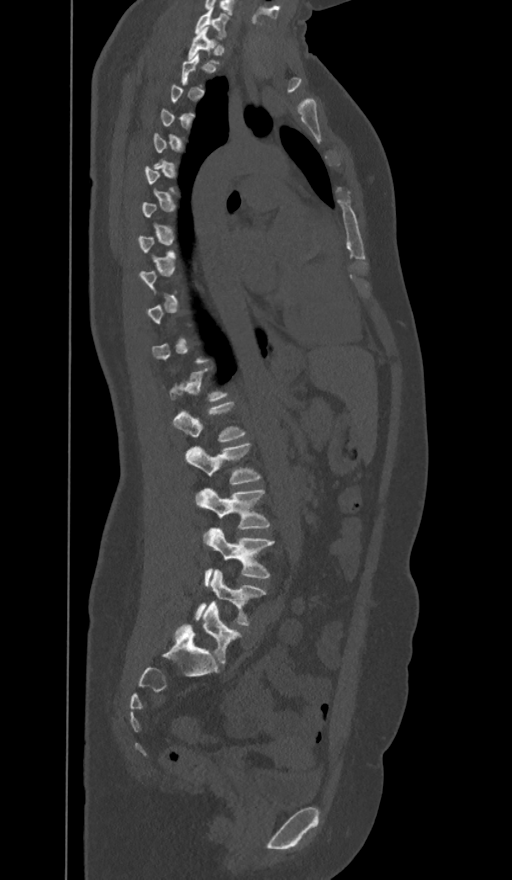
Computed tomography of the spine; sagittal view
Boxes: x1 y1 x2 y2 (pixel coords, space-separated). Not every vertebra on this slice has a box: a vertebra is boxed only from the first to the last slice where its cross-section is at least a third of its largest, and this slice is outside that range for at least one of them. The labels name a sixth lumbar vertebra for this spine: L6, after L5. The labeled vertebrae in this slice are: C7 at 194 7 227 38, T1 at 187 27 216 57, L1 at 174 402 245 443, L2 at 185 444 260 484, L3 at 198 488 270 529, L4 at 205 529 274 584, L5 at 196 569 266 626, L6 at 178 602 241 664.